Spine CT — 477 mm image width — sagittal reformat — bone window — 795x993 px
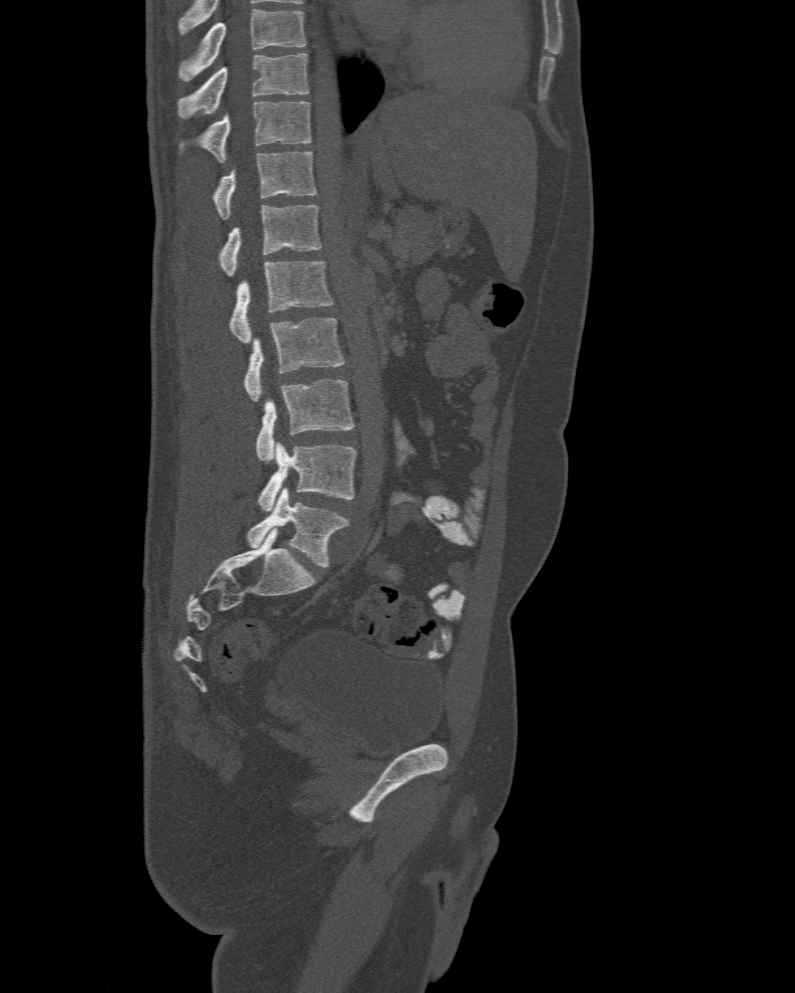

Boxes are given in columns x1, y1, x2, y2, the pixel coordinates of their top-left and bottom-right corners.
This scan's labels start at T10 at the top and end at L6 at the bottom.
These labels give the spine a sixth lumbar vertebra, L6, below L5.
| vertebra | x1 | y1 | x2 | y2 |
|---|---|---|---|---|
| L6 | 247 | 488 | 348 | 567 |
| L5 | 258 | 442 | 356 | 512 |
| L4 | 256 | 378 | 355 | 462 |
| L3 | 244 | 317 | 344 | 402 |
| L2 | 228 | 262 | 334 | 342 |
| L1 | 217 | 205 | 322 | 276 |
| T12 | 213 | 152 | 317 | 219 |
| T11 | 180 | 102 | 311 | 162 |
| T10 | 179 | 53 | 310 | 119 |